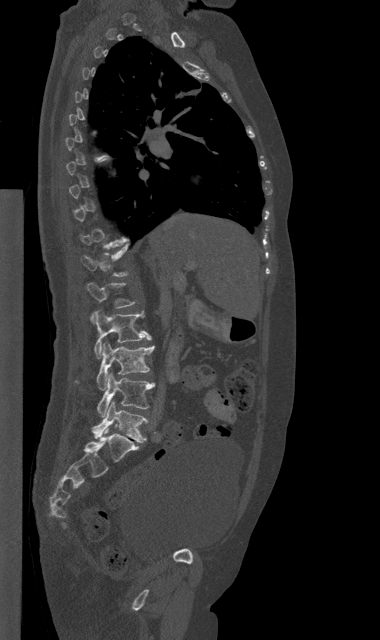 Computed tomography of the spine; sagittal view; 380 mm across the image; 380x640 px
Box values are [left, top, right, bottom] in pixels.
A vertebra is boxed only from the first to the last slice where its cross-section is at least a third of its largest; slices outside that range leave it without a box.
{"vertebrae":{"L1":[86,282,135,322],"L2":[94,310,151,358],"L3":[97,341,154,389],"L4":[97,373,154,417],"L5":[92,401,147,442]}}